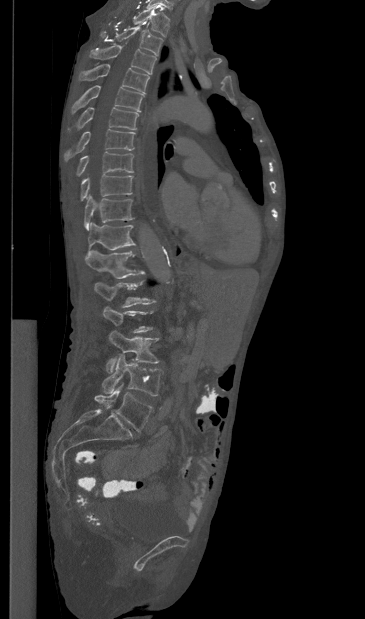
Computed tomography of the spine — sagittal view — 365x619 px
Not every vertebra on this slice has a box: a vertebra is boxed only from the first to the last slice where its cross-section is at least a third of its largest, and this slice is outside that range for at least one of them.
<vertebrae><v name="T1" x1="133" y1="8" x2="169" y2="36"/><v name="T2" x1="115" y1="25" x2="163" y2="55"/><v name="T3" x1="90" y1="45" x2="156" y2="73"/><v name="T4" x1="79" y1="64" x2="149" y2="92"/><v name="T5" x1="71" y1="85" x2="144" y2="113"/><v name="T6" x1="68" y1="107" x2="138" y2="129"/><v name="T7" x1="64" y1="129" x2="135" y2="161"/><v name="T8" x1="76" y1="151" x2="133" y2="175"/><v name="T9" x1="81" y1="174" x2="133" y2="200"/><v name="T10" x1="84" y1="195" x2="134" y2="230"/><v name="T11" x1="86" y1="222" x2="135" y2="257"/><v name="T12" x1="85" y1="250" x2="144" y2="278"/><v name="L1" x1="94" y1="281" x2="155" y2="307"/><v name="L3" x1="106" y1="330" x2="159" y2="373"/><v name="L4" x1="102" y1="354" x2="162" y2="396"/><v name="L5" x1="94" y1="384" x2="152" y2="431"/></vertebrae>